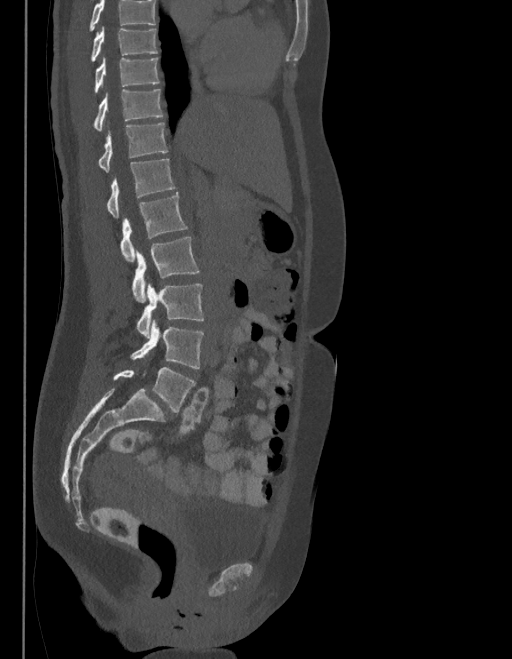 Spine computed tomography · sagittal reformat · 512x659 px
Where the top of the scan cuts through a vertebra, that vertebra gets no label or box.
These labels give the spine a sixth lumbar vertebra, L6, below L5.
<vertebrae><v name="T9" x1="90" y1="27" x2="156" y2="61"/><v name="T10" x1="94" y1="58" x2="159" y2="94"/><v name="T11" x1="93" y1="89" x2="163" y2="130"/><v name="T12" x1="98" y1="122" x2="167" y2="172"/><v name="L1" x1="107" y1="158" x2="174" y2="219"/><v name="L2" x1="121" y1="192" x2="187" y2="261"/><v name="L3" x1="132" y1="237" x2="198" y2="302"/><v name="L4" x1="136" y1="284" x2="203" y2="337"/><v name="L5" x1="131" y1="321" x2="203" y2="368"/><v name="L6" x1="113" y1="368" x2="195" y2="413"/></vertebrae>